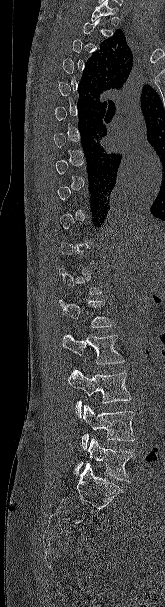

CT spine; sagittal view; 165x607 px

A vertebra is boxed only from the first to the last slice where its cross-section is at least a third of its largest; slices outside that range leave it without a box.
<vertebrae><v name="L5" x1="74" y1="438" x2="135" y2="482"/><v name="L4" x1="81" y1="404" x2="134" y2="450"/><v name="L3" x1="68" y1="368" x2="131" y2="417"/><v name="L2" x1="62" y1="334" x2="124" y2="364"/><v name="L1" x1="59" y1="299" x2="115" y2="327"/></vertebrae>